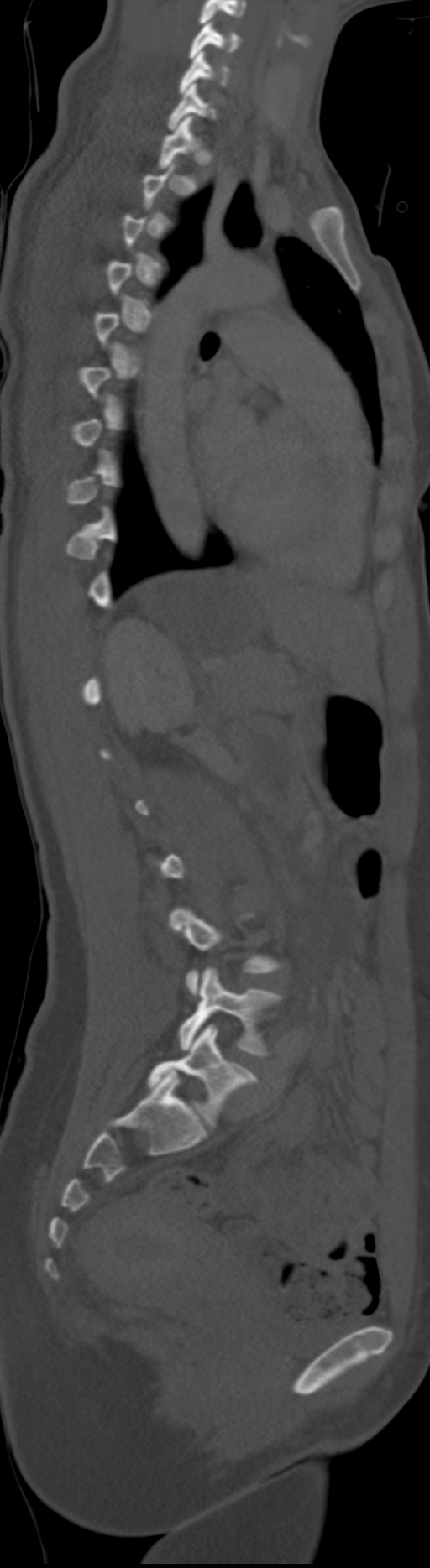

Computed tomography of the spine — sagittal view — W/L 1800/400 HU — the image is 192 mm wide
Each box given as x1,y1,x2,y2. Each vertebra is boxed only on the slices from the first to the last where its cross-section reaches a third of its largest, so a slice outside that range leaves it unboxed. These labels give the spine a sixth lumbar vertebra, L6, below L5. 6 vertebrae labeled — L6 at x1=148, y1=1024, x2=258, y2=1125; L5 at x1=178, y1=967, x2=282, y2=1055; T1 at x1=158, y1=116, x2=201, y2=169; C7 at x1=167, y1=83, x2=218, y2=130; C6 at x1=178, y1=51, x2=229, y2=93; C5 at x1=188, y1=21, x2=241, y2=59.